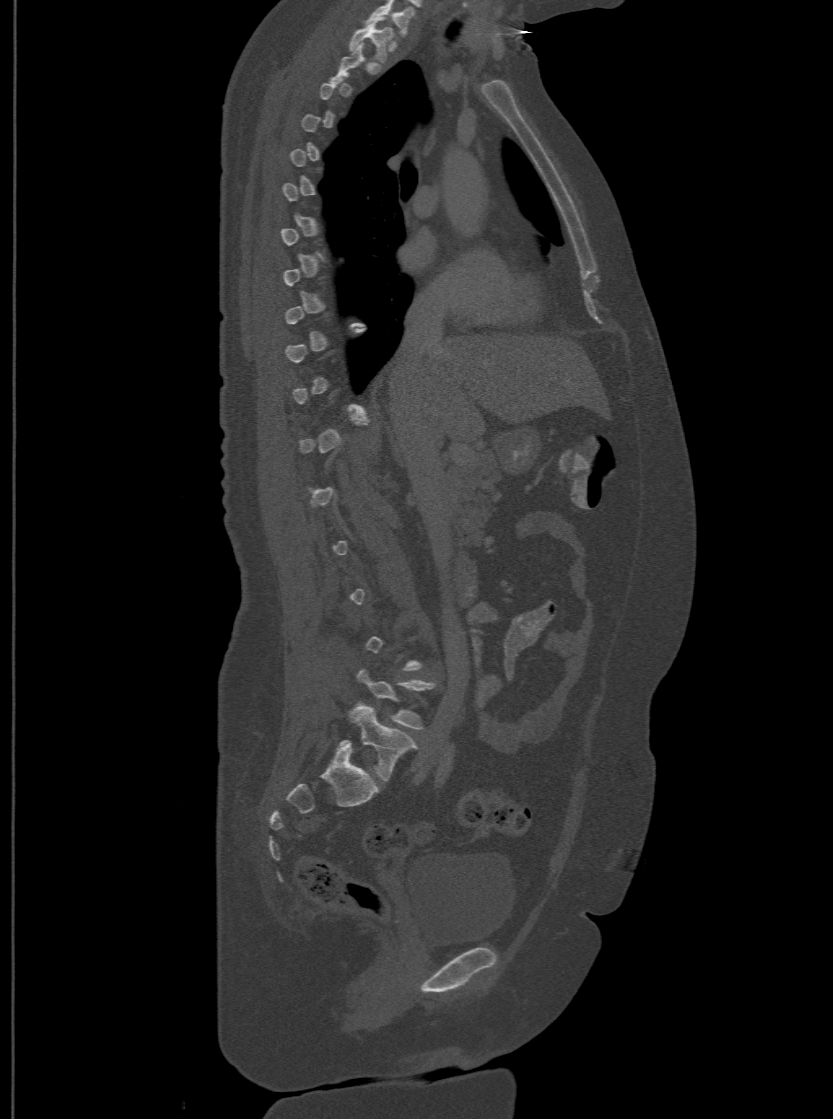

Computed tomography of the spine; sagittal reformat; 500 mm across the image; bone-window reconstruction; 833x1119 px
Box edges are left/top/right/bottom in pixels.
Not every vertebra on this slice has a box: a vertebra is boxed only from the first to the last slice where its cross-section is at least a third of its largest, and this slice is outside that range for at least one of them.
This scan's labels start at T1 at the top and end at L6 at the bottom.
In these labels the spine has an L6, a sixth lumbar vertebra below L5.
T1: left=350, top=22, right=393, bottom=61
L5: left=356, top=669, right=434, bottom=728
L6: left=340, top=703, right=416, bottom=780